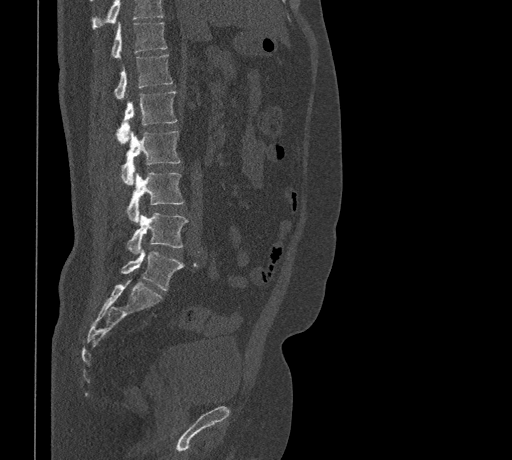

Spine computed tomography. sagittal view. 512x460 px. Columns x1, y1, x2, y2 give each box's top-left and bottom-right pixels.
Vertebrae that run past the top of the scan are left unlabeled.
| vertebra | x1 | y1 | x2 | y2 |
|---|---|---|---|---|
| T11 | 111 | 22 | 166 | 58 |
| T12 | 114 | 55 | 172 | 99 |
| L1 | 117 | 91 | 176 | 143 |
| L2 | 121 | 131 | 181 | 185 |
| L3 | 127 | 172 | 184 | 222 |
| L4 | 127 | 212 | 188 | 254 |
| L5 | 121 | 250 | 183 | 290 |